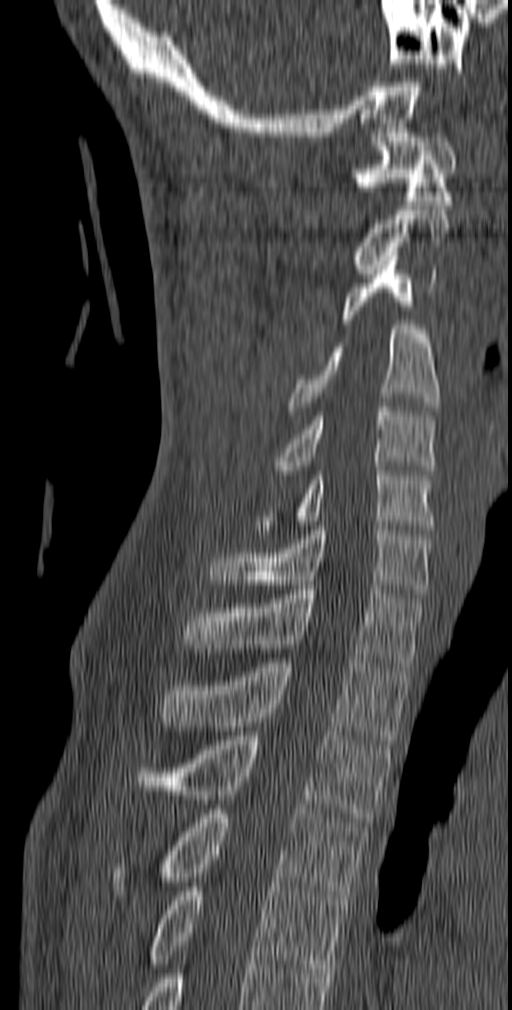

Spine computed tomography; sagittal view

Each box is [x1, y1, x2, y2] in pixels: top-left corner, then bottom-right corner.
{"vertebrae":{"C1":[352,133,457,205],"C2":[352,210,450,273],"C3":[341,256,436,324],"C4":[287,325,439,415],"C5":[270,407,436,474],"C6":[256,466,436,534],"C7":[208,526,432,598],"T1":[183,585,424,671],"T2":[161,658,411,740],"T3":[137,731,391,826],"T4":[111,809,367,900],"T5":[148,882,348,973]}}